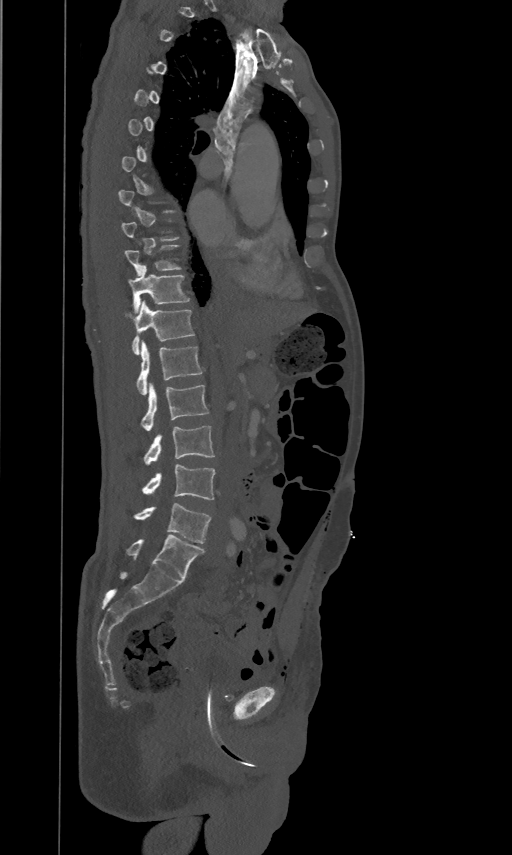

Spine CT · image 461 mm wide · sagittal reformat

Each box given as x1,y1,x2,y2.
Not every vertebra on this slice has a box: a vertebra is boxed only from the first to the last slice where its cross-section is at least a third of its largest, and this slice is outside that range for at least one of them.
L5: x1=133, y1=503, x2=211, y2=543
L4: x1=142, y1=464, x2=214, y2=500
L3: x1=143, y1=425, x2=214, y2=464
L2: x1=141, y1=383, x2=209, y2=431
L1: x1=136, y1=341, x2=202, y2=395
T12: x1=125, y1=300, x2=194, y2=353
T11: x1=129, y1=264, x2=189, y2=312
T10: x1=124, y1=244, x2=181, y2=274